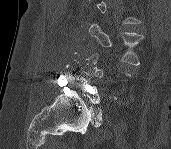

Spine computed tomography; sagittal view; 171 mm image width; Bone window (WL 400, WW 1800). Box edges are left/top/right/bottom in pixels. A vertebra is boxed only from the first to the last slice where its cross-section is at least a third of its largest; slices outside that range leave it without a box. A vertebra cut off by the top edge of the scan is not labeled and has no box. 2 vertebrae labeled — L3 at left=89, top=24, right=143, bottom=65; L5 at left=79, top=72, right=102, bottom=127.